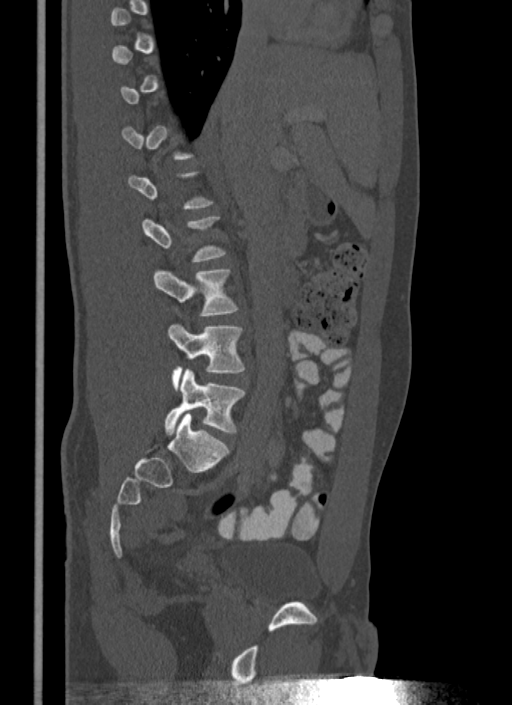
CT, spine; 340 mm image width; sagittal view
Coordinates as <box>x1,y1,x2,y2</box>. A vertebra is boxed only from the first to the last slice where its cross-section is at least a third of its largest; slices outside that range leave it without a box. 3 vertebrae labeled — L5 at <box>165,369,244,434</box>; L4 at <box>168,324,244,389</box>; L3 at <box>153,270,238,315</box>.